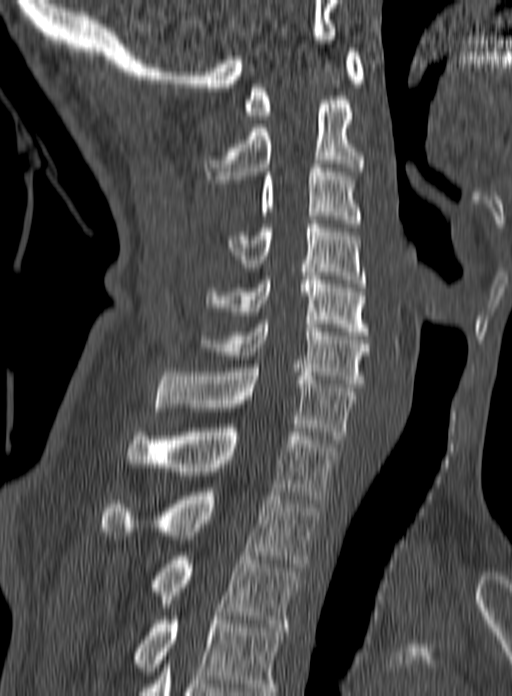

CT. 160 mm wide. sagittal reformat

Labels in this scan begin with C1 at the top and end with T3 at the bottom.
<vertebrae><v name="C1" x1="243" y1="48" x2="364" y2="119"/><v name="C2" x1="203" y1="100" x2="365" y2="183"/><v name="C3" x1="259" y1="164" x2="362" y2="227"/><v name="C4" x1="227" y1="224" x2="365" y2="287"/><v name="C5" x1="206" y1="276" x2="368" y2="335"/><v name="C6" x1="201" y1="320" x2="370" y2="387"/><v name="C7" x1="155" y1="368" x2="355" y2="443"/><v name="T1" x1="124" y1="428" x2="339" y2="503"/><v name="T2" x1="100" y1="492" x2="317" y2="567"/><v name="T3" x1="152" y1="552" x2="301" y2="627"/></vertebrae>